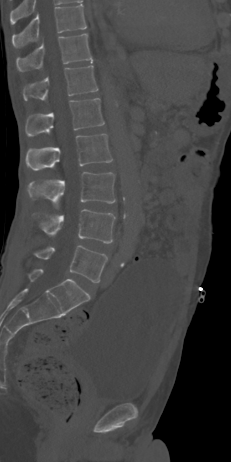 Spine CT — sagittal view — W/L 1800/400 HU — 231x462 px
In the table, x1 and y1 are a box's top-left corner and x2 and y2 its bottom-right corner, in pixels.
| vertebra | x1 | y1 | x2 | y2 |
|---|---|---|---|---|
| T10 | 12 | 4 | 86 | 47 |
| T11 | 16 | 33 | 93 | 70 |
| T12 | 23 | 65 | 98 | 100 |
| L1 | 25 | 98 | 104 | 136 |
| L2 | 26 | 134 | 112 | 170 |
| L3 | 28 | 172 | 115 | 209 |
| L4 | 38 | 209 | 115 | 243 |
| L5 | 34 | 245 | 107 | 282 |